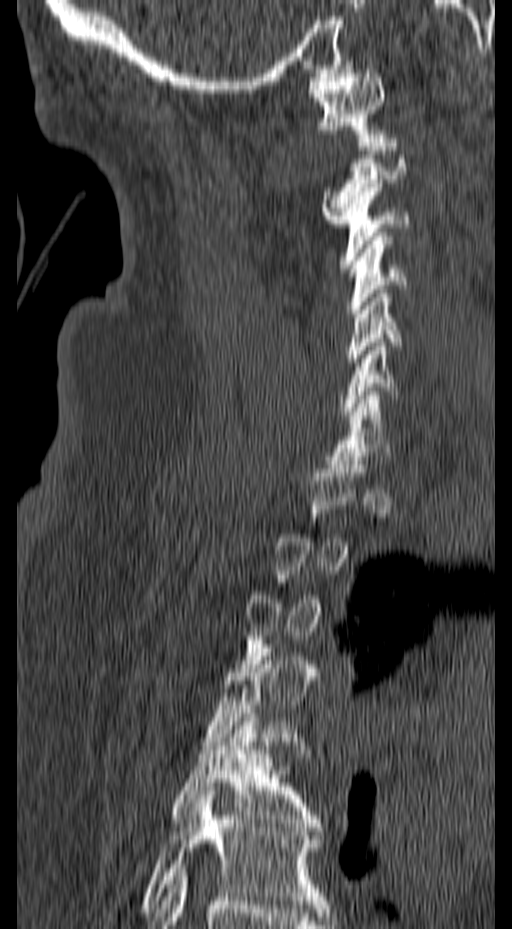 CT — sagittal view — W/L 1800/400 HU

Not every vertebra on this slice has a box: a vertebra is boxed only from the first to the last slice where its cross-section is at least a third of its largest, and this slice is outside that range for at least one of them.
<vertebrae><v name="C1" x1="308" y1="69" x2="387" y2="142"/><v name="C2" x1="322" y1="143" x2="405" y2="223"/><v name="C3" x1="339" y1="183" x2="409" y2="268"/><v name="C4" x1="345" y1="232" x2="407" y2="317"/><v name="C5" x1="346" y1="285" x2="402" y2="370"/><v name="C6" x1="338" y1="338" x2="398" y2="415"/><v name="C7" x1="327" y1="391" x2="392" y2="464"/><v name="T5" x1="171" y1="713" x2="323" y2="831"/><v name="T6" x1="142" y1="791" x2="330" y2="912"/></vertebrae>